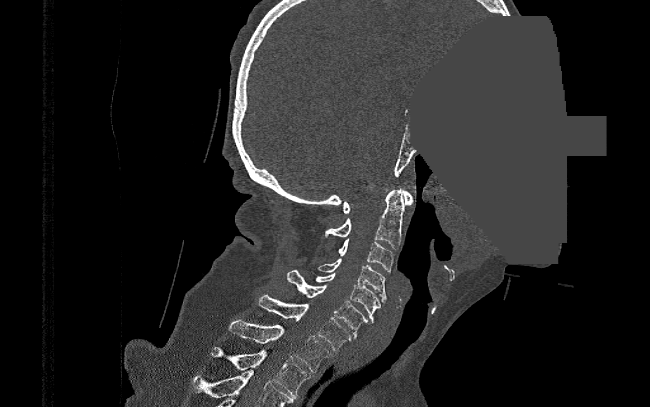
Spine CT. sagittal reformat. a region is masked with a constant gray value
Each box given as x1,y1,x2,y2.
Vertebra bounding boxes:
- C1: x1=343, y1=189, x2=413, y2=213
- C2: x1=325, y1=190, x2=404, y2=248
- C3: x1=338, y1=239, x2=393, y2=273
- C4: x1=317, y1=258, x2=386, y2=305
- C5: x1=315, y1=273, x2=380, y2=322
- C6: x1=287, y1=270, x2=372, y2=337
- C7: x1=258, y1=294, x2=352, y2=350
- T1: x1=229, y1=320, x2=330, y2=371
- T2: x1=208, y1=347, x2=310, y2=397